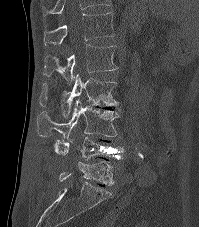

Spine computed tomography — sagittal view — W/L 1800/400 HU
Boxes below are [x1, y1, x2, y2] in pixels.
Labels in this scan begin with T12 at the top and end with L5 at the bottom.
{"vertebrae":{"T12":[43,12,115,45],"L1":[43,44,118,84],"L2":[39,74,119,117],"L3":[37,99,119,139],"L4":[54,137,123,162],"L5":[59,160,114,185]}}